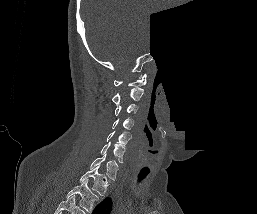 Computed tomography of the spine. sagittal view. W/L 1800/400 HU. 257x214 px. some of the image was removed or blocked out with constant pixels. Each row gives a vertebra's box as x1, y1, x2, y2 in pixels: top-left corner, then bottom-right corner.
In this scan, the topmost labeled vertebra is C1 and the lowest is T1.
| vertebra | x1 | y1 | x2 | y2 |
|---|---|---|---|---|
| C1 | 114 | 73 | 146 | 87 |
| C2 | 112 | 88 | 143 | 103 |
| C3 | 114 | 103 | 137 | 116 |
| C4 | 112 | 118 | 134 | 131 |
| C5 | 107 | 131 | 131 | 145 |
| C6 | 100 | 141 | 125 | 162 |
| C7 | 90 | 153 | 118 | 180 |
| T1 | 79 | 165 | 109 | 196 |